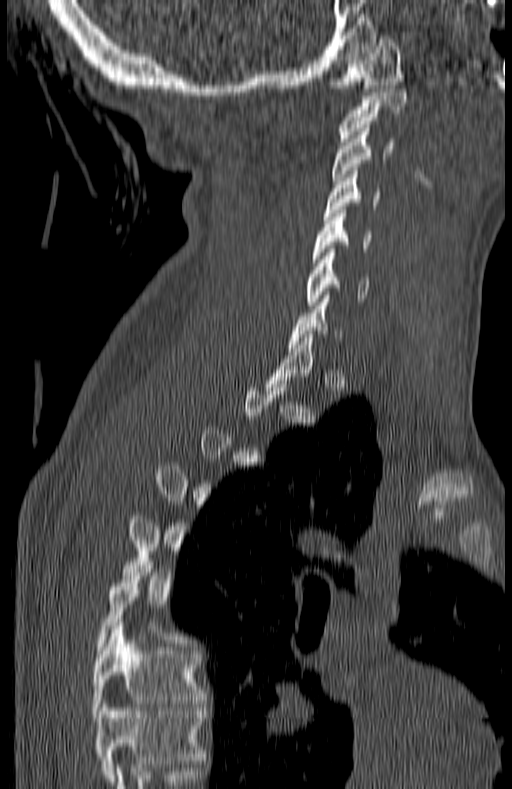

Spine computed tomography — sagittal view
Bounding boxes as [x1, y1, x2, y2] in pixel coordinates. Each vertebra is boxed only on the slices from the first to the last where its cross-section reaches a third of its largest, so a slice outside that range leaves it unboxed. Labels in this scan begin with C1 at the top and end with T7 at the bottom. 7 vertebrae labeled — T7 at [92, 626, 205, 717]; C6 at [305, 249, 370, 305]; C5 at [314, 210, 373, 262]; C4 at [322, 171, 381, 219]; C3 at [332, 128, 393, 184]; C2 at [339, 89, 407, 141]; C1 at [334, 39, 404, 91].